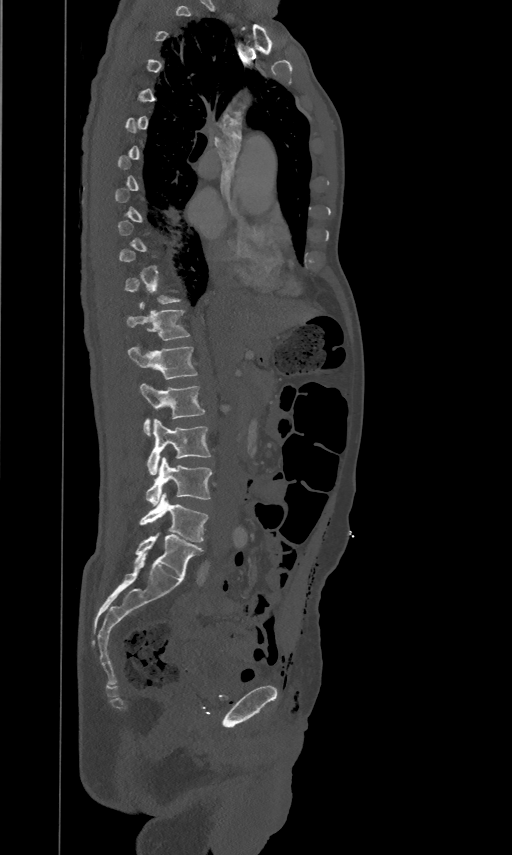 CT · sagittal view · 512x855 px · 461 mm wide. Each box given as x1,y1,x2,y2.
Each vertebra is boxed only on the slices from the first to the last where its cross-section reaches a third of its largest, so a slice outside that range leaves it unboxed.
| vertebra | x1 | y1 | x2 | y2 |
|---|---|---|---|---|
| T12 | 126 | 309 | 189 | 339 |
| L1 | 128 | 345 | 197 | 379 |
| L2 | 140 | 382 | 204 | 435 |
| L3 | 147 | 419 | 211 | 474 |
| L4 | 146 | 457 | 212 | 506 |
| L5 | 140 | 493 | 207 | 542 |